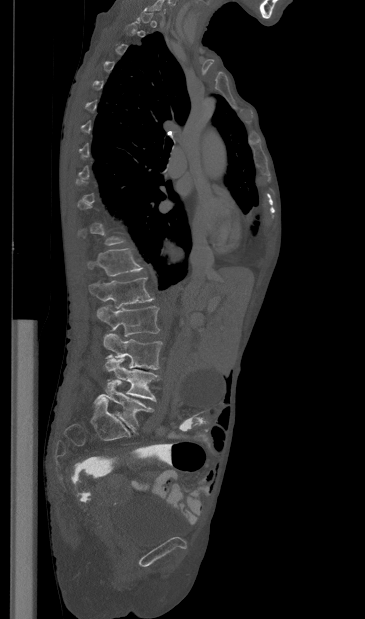 Computed tomography of the spine; sagittal reformat; 365x619 px
A vertebra gets a box only on the slices from the first to the last where its cross-section is at least a third of its largest; on a slice outside that range it gets none.
<vertebrae><v name="T12" x1="87" y1="248" x2="142" y2="276"/><v name="L1" x1="89" y1="278" x2="154" y2="308"/><v name="L2" x1="97" y1="305" x2="159" y2="336"/><v name="L3" x1="103" y1="333" x2="162" y2="369"/><v name="L4" x1="105" y1="358" x2="160" y2="401"/><v name="L5" x1="93" y1="380" x2="153" y2="431"/></vertebrae>